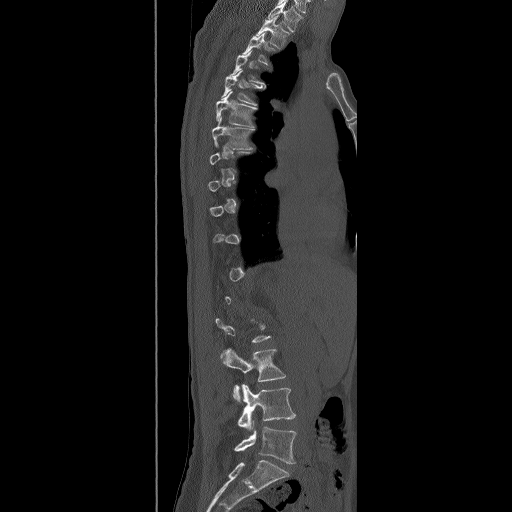 Spine CT — sagittal view — bone-window reconstruction

In the table, x1 and y1 are a box's top-left corner and x2 and y2 its bottom-right corner, in pixels.
A vertebra gets a box only on the slices from the first to the last where its cross-section is at least a third of its largest; on a slice outside that range it gets none.
The highest labeled vertebra in this scan is T2; the lowest is L5.
| vertebra | x1 | y1 | x2 | y2 |
|---|---|---|---|---|
| L5 | 233 | 421 | 296 | 464 |
| L4 | 237 | 384 | 295 | 430 |
| L3 | 221 | 348 | 286 | 402 |
| T7 | 211 | 116 | 254 | 149 |
| T6 | 215 | 91 | 257 | 127 |
| T5 | 220 | 70 | 262 | 105 |
| T3 | 243 | 33 | 275 | 65 |
| T2 | 256 | 16 | 290 | 49 |